CT. sagittal plane, index 332
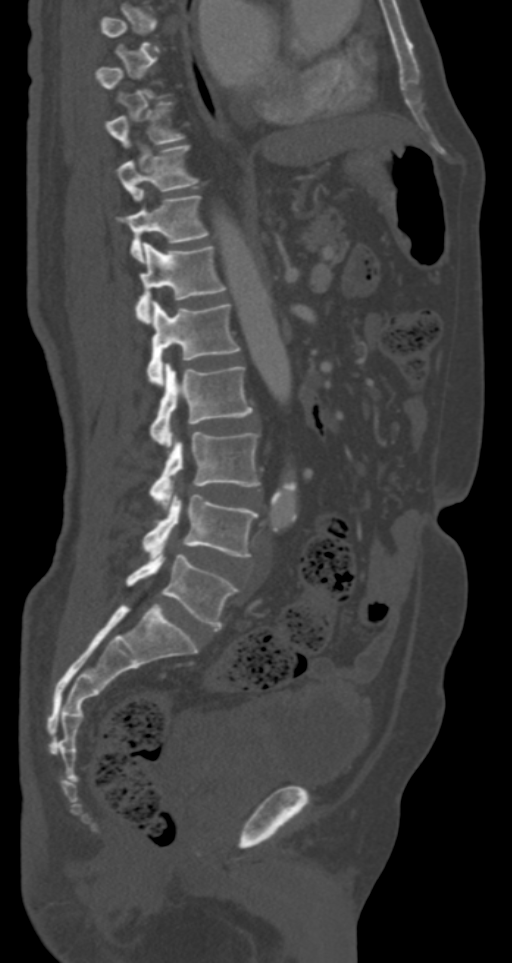 Coordinates as <box>x1,y1,x2,y2</box>. A vertebra is boxed only from the first to the last slice where its cross-section is at least a third of its largest; slices outside that range leave it without a box. The labeled vertebrae in this slice are: T9 at <box>105,101,184,149</box>, T10 at <box>117,144,198,200</box>, T11 at <box>117,196,209,261</box>, T12 at <box>135,242,227,321</box>, L1 at <box>146,301,239,384</box>, L2 at <box>149,363,252,446</box>, L3 at <box>149,431,261,505</box>, L4 at <box>142,495,257,557</box>, L5 at <box>126,554,239,628</box>.